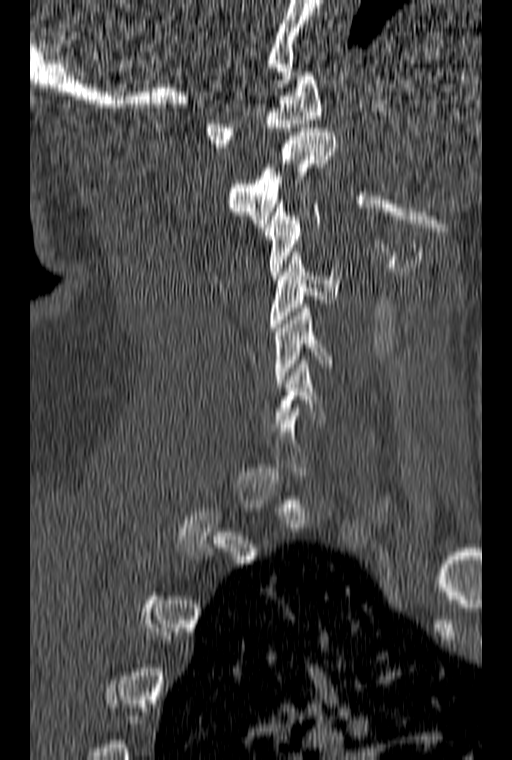
Spine CT · sagittal view
Each box is [x1, y1, x2, y2] in pixels: top-left corner, then bottom-right corner.
Each vertebra is boxed only on the slices from the first to the last where its cross-section reaches a third of its largest, so a slice outside that range leaves it unboxed.
{"vertebrae":{"C1":[203,72,321,147],"C2":[227,128,337,223],"C3":[263,196,320,279],"C4":[270,252,339,331],"C5":[275,304,333,387]}}